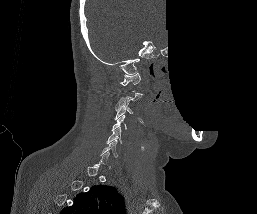

Spine computed tomography · sagittal view · W/L 1800/400 HU · 257x214 px · part of the image has been replaced by a constant value. Boxes are (x1, y1, x2, y2) in pixels.
A vertebra gets a box only on the slices from the first to the last where its cross-section is at least a third of its largest; on a slice outside that range it gets none.
C1: (119, 73, 141, 90)
C3: (114, 102, 134, 119)
C4: (112, 115, 129, 130)
C5: (106, 127, 122, 143)
C6: (100, 141, 117, 157)